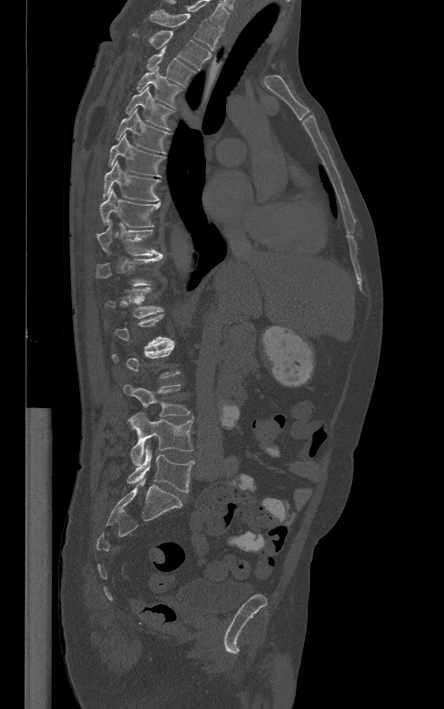
CT · the image is 444 mm wide · sagittal view · 444x709 px

Boxes are (x1, y1, x2, y2) in pixels.
Each vertebra is boxed only on the slices from the first to the last where its cross-section reaches a third of its largest, so a slice outside that range leaves it unboxed.
Vertebra bounding boxes:
- T1: (150, 9, 218, 50)
- T2: (134, 31, 210, 68)
- T3: (147, 48, 194, 86)
- T4: (137, 66, 182, 108)
- T5: (125, 87, 174, 129)
- T6: (116, 109, 172, 154)
- T7: (109, 133, 163, 176)
- T8: (103, 161, 159, 201)
- T9: (99, 190, 159, 228)
- T10: (96, 223, 162, 256)
- T11: (95, 255, 162, 286)
- T12: (106, 287, 162, 318)
- L3: (123, 384, 189, 416)
- L4: (128, 413, 193, 465)
- L5: (127, 446, 193, 492)